Computed tomography of the spine. sagittal view. 18 vertebrae labeled in this scan
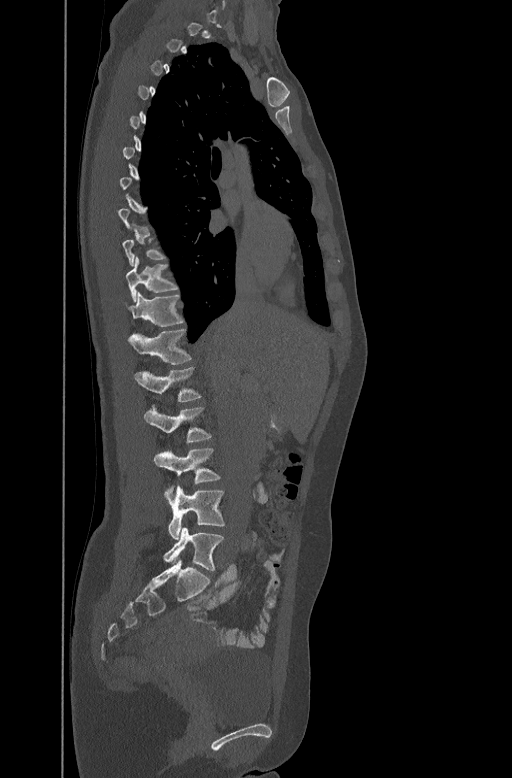
Each box given as x1,y1,x2,y2.
Each vertebra is boxed only on the slices from the first to the last where its cross-section reaches a third of its largest, so a slice outside that range leaves it unboxed.
| vertebra | x1 | y1 | x2 | y2 |
|---|---|---|---|---|
| L5 | 163 | 527 | 223 | 570 |
| L4 | 168 | 487 | 225 | 539 |
| L3 | 153 | 448 | 220 | 492 |
| L2 | 144 | 405 | 211 | 443 |
| L1 | 134 | 365 | 202 | 402 |
| T12 | 128 | 327 | 191 | 363 |
| T11 | 129 | 291 | 184 | 325 |
| T10 | 126 | 255 | 178 | 300 |